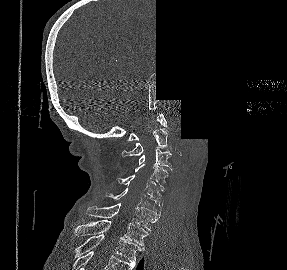

CT spine — sagittal view — the image is 287 mm wide — W/L 1800/400 HU — part of the image is constant black where the scan was masked

Columns x1, y1, x2, y2 give each box's top-left and bottom-right pixels.
| vertebra | x1 | y1 | x2 | y2 |
|---|---|---|---|---|
| C1 | 126 | 113 | 167 | 140 |
| C2 | 122 | 128 | 168 | 157 |
| C3 | 139 | 148 | 172 | 170 |
| C4 | 135 | 164 | 168 | 190 |
| C5 | 116 | 174 | 163 | 204 |
| C6 | 105 | 187 | 160 | 218 |
| C7 | 85 | 203 | 157 | 231 |
| T1 | 75 | 220 | 148 | 245 |
| T2 | 74 | 234 | 144 | 264 |